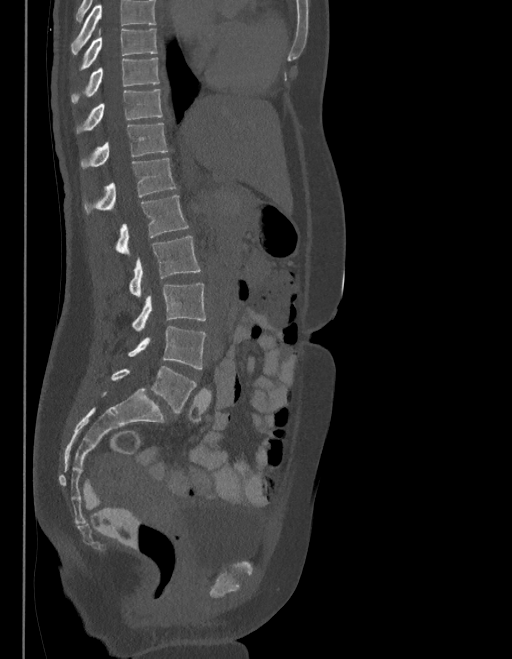 CT spine · sagittal view · image width 403 mm
Boxes are given in columns x1, y1, x2, y2, the pixel coordinates of their top-left and bottom-right corners.
Vertebrae that run past the top of the scan are left unlabeled.
The labels name a sixth lumbar vertebra for this spine: L6, after L5.
| vertebra | x1 | y1 | x2 | y2 |
|---|---|---|---|---|
| T9 | 82 | 29 | 156 | 69 |
| T10 | 72 | 58 | 159 | 103 |
| T11 | 77 | 89 | 161 | 132 |
| T12 | 81 | 122 | 168 | 167 |
| L1 | 85 | 158 | 175 | 212 |
| L2 | 117 | 196 | 188 | 256 |
| L3 | 129 | 236 | 200 | 299 |
| L4 | 132 | 282 | 205 | 332 |
| L5 | 128 | 326 | 205 | 369 |
| L6 | 112 | 367 | 196 | 413 |